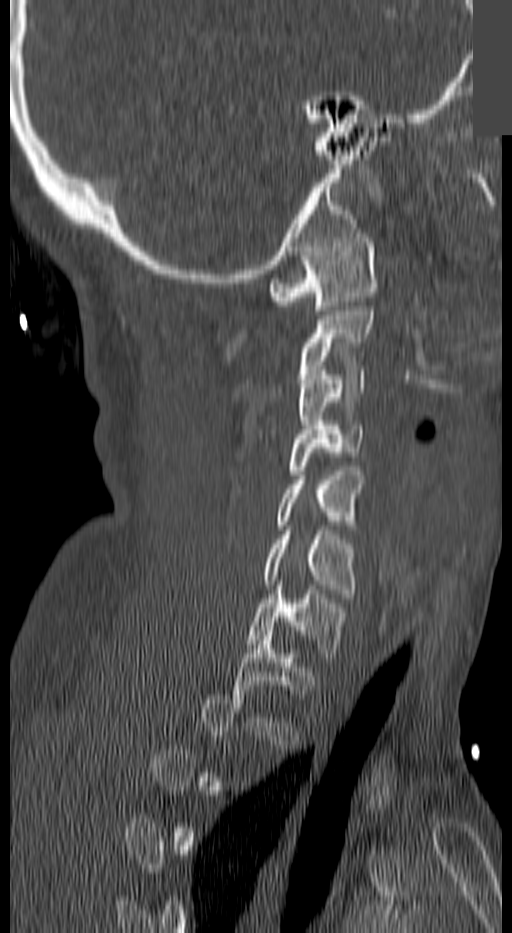 CT, spine; 140 mm wide; sagittal view; 512x933 px; a portion of the image is blanked out (constant pixel value)
A vertebra gets a box only on the slices from the first to the last where its cross-section is at least a third of its largest; on a slice outside that range it gets none.
<vertebrae><v name="C1" x1="268" y1="233" x2="377" y2="310"/><v name="C3" x1="297" y1="370" x2="366" y2="433"/><v name="C4" x1="290" y1="421" x2="362" y2="479"/><v name="C5" x1="276" y1="471" x2="362" y2="529"/><v name="C6" x1="265" y1="526" x2="355" y2="593"/><v name="C7" x1="246" y1="581" x2="344" y2="653"/></vertebrae>